CT, spine — sagittal plane, index 56 — Bone window (WL 400, WW 1800) — the image is 400 mm wide
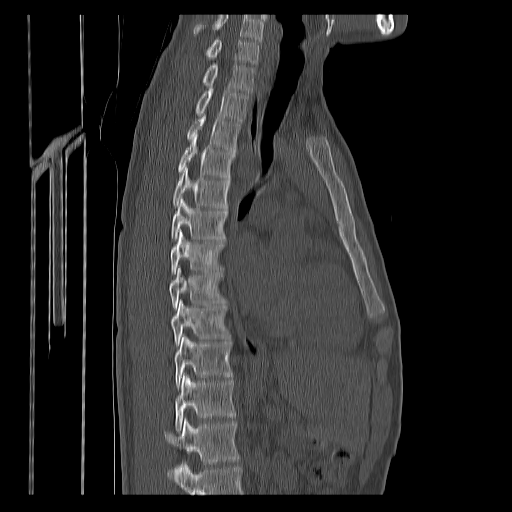

Box edges are left/top/right/bottom in pixels.
No box is given to a vertebra that the bottom edge of the scan cuts off.
Labels in this scan begin with C7 at the top and end with T12 at the bottom.
T12: left=165, top=419, right=239, bottom=464
T11: left=176, top=374, right=235, bottom=432
T10: left=174, top=336, right=232, bottom=388
T9: left=170, top=301, right=228, bottom=346
T8: left=169, top=268, right=222, bottom=309
T7: left=170, top=231, right=224, bottom=274
T6: left=172, top=199, right=227, bottom=240
T5: left=173, top=167, right=230, bottom=207
T4: left=178, top=135, right=235, bottom=177
T3: left=187, top=115, right=240, bottom=151
T2: left=196, top=87, right=247, bottom=121
T1: left=202, top=63, right=255, bottom=93
C7: left=206, top=39, right=259, bottom=63